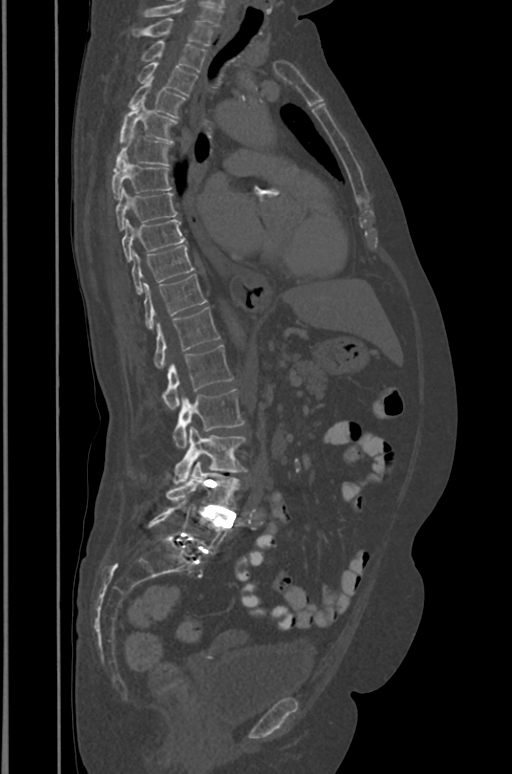 CT spine; sagittal view
Boxes: x1:y1:x2:y2 in pixels. In this scan, the topmost labeled vertebra is T1 and the lowest is L5. Vertebrae labeled: T1 at 143:18:212:45, T2 at 141:40:206:71, T3 at 137:62:197:95, T4 at 130:78:185:117, T5 at 119:102:176:142, T6 at 113:132:171:169, T7 at 111:156:172:199, T8 at 115:188:177:231, T9 at 122:219:185:260, T10 at 132:245:194:294, T11 at 144:274:206:328, T12 at 154:307:219:368, L1 at 162:345:232:410, L2 at 173:389:244:448, L3 at 174:427:245:484, L4 at 166:460:239:509, L5 at 148:500:230:554.